Computed tomography of the spine · sagittal reformat · bone-window reconstruction · 833x1119 px · image 500 mm wide
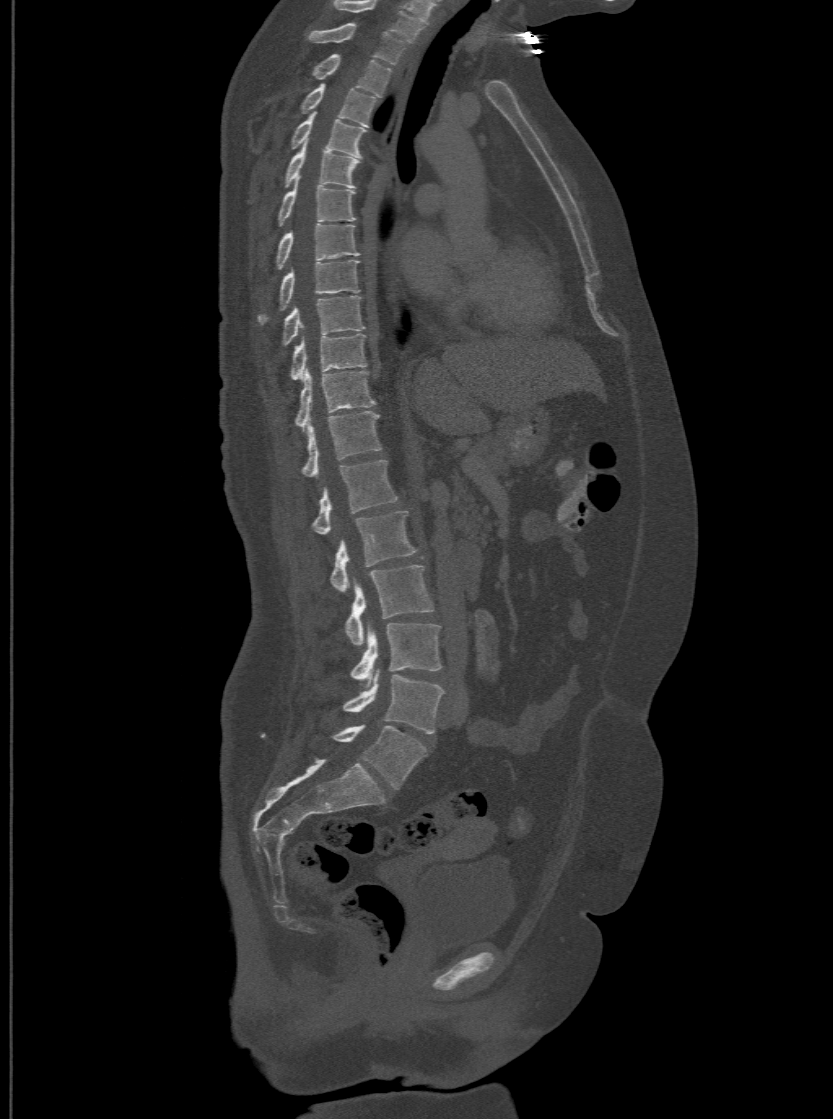
The highest labeled vertebra in this scan is T1; the lowest is L6.
In these labels the spine has an L6, a sixth lumbar vertebra below L5.
<vertebrae><v name="T1" x1="308" y1="22" x2="404" y2="64"/><v name="T2" x1="309" y1="53" x2="391" y2="96"/><v name="T3" x1="299" y1="82" x2="375" y2="126"/><v name="T4" x1="290" y1="112" x2="365" y2="157"/><v name="T5" x1="283" y1="143" x2="359" y2="187"/><v name="T6" x1="277" y1="183" x2="355" y2="224"/><v name="T7" x1="275" y1="222" x2="359" y2="267"/><v name="T8" x1="257" y1="258" x2="359" y2="324"/><v name="T9" x1="282" y1="295" x2="364" y2="344"/><v name="T10" x1="290" y1="333" x2="367" y2="379"/><v name="T11" x1="295" y1="370" x2="373" y2="431"/><v name="T12" x1="301" y1="410" x2="380" y2="477"/><v name="L1" x1="311" y1="458" x2="398" y2="532"/><v name="L2" x1="330" y1="510" x2="416" y2="592"/><v name="L3" x1="345" y1="564" x2="434" y2="645"/><v name="L4" x1="350" y1="623" x2="440" y2="680"/><v name="L5" x1="343" y1="671" x2="443" y2="733"/><v name="L6" x1="332" y1="724" x2="425" y2="788"/></vertebrae>